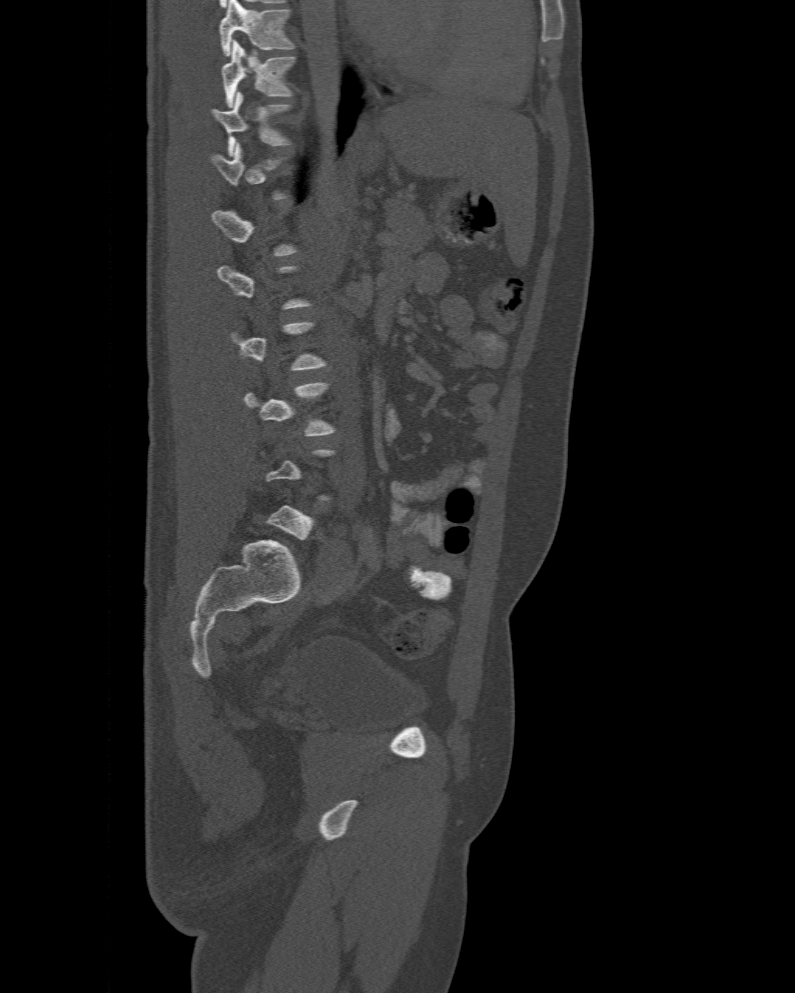 Spine computed tomography — sagittal view

Each box is [x1, y1, x2, y2] in pixels: top-left corner, then bottom-right corner.
Not every vertebra on this slice has a box: a vertebra is boxed only from the first to the last slice where its cross-section is at least a third of its largest, and this slice is outside that range for at least one of them.
The highest labeled vertebra in this scan is T10; the lowest is L6.
{"vertebrae":{"T10":[222,40,294,106],"T11":[210,92,291,156]}}